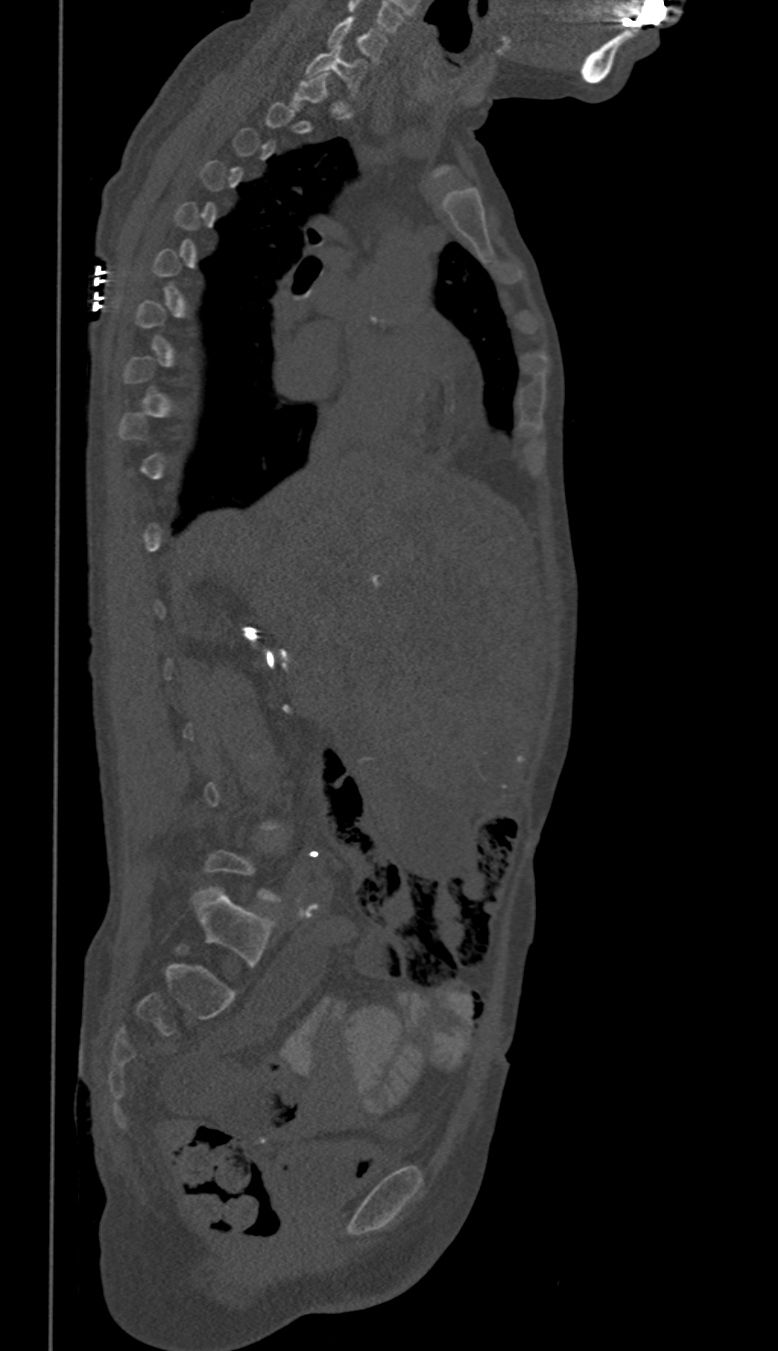 Computed tomography of the spine — sagittal view — Bone window (WL 400, WW 1800). Boxes: x1 y1 x2 y2 (pixel coords, space-separated).
Not every vertebra on this slice has a box: a vertebra is boxed only from the first to the last slice where its cross-section is at least a third of its largest, and this slice is outside that range for at least one of them.
Vertebra bounding boxes:
- C6: 327 16 388 64
- C7: 307 46 365 95